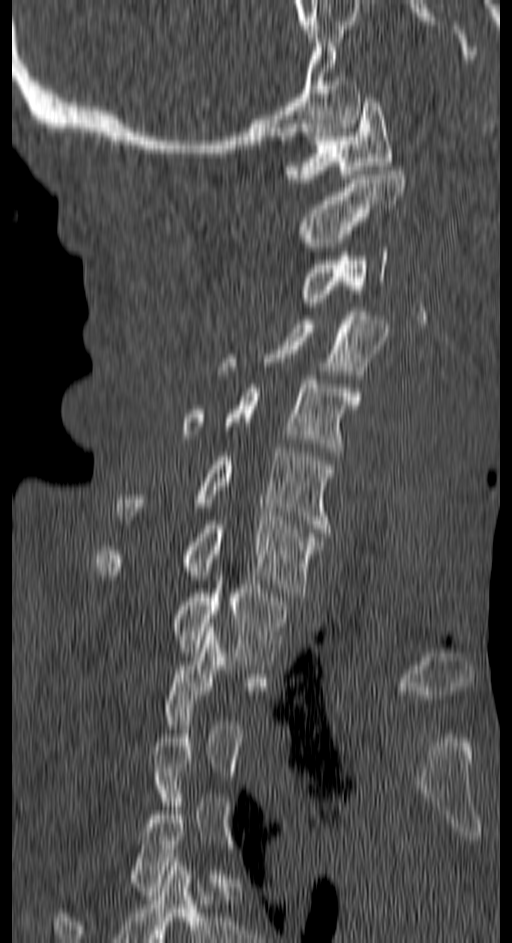

Spine CT — sagittal view — image 150 mm wide — bone-window reconstruction

Boxes: x1:y1:x2:y2 in pixels.
Not every vertebra on this slice has a box: a vertebra is boxed only from the first to the last slice where its cross-section is at least a third of its largest, and this slice is outside that range for at least one of them.
C1: 283:98:393:182
C2: 302:166:403:251
C3: 302:247:388:302
C4: 219:311:388:374
C5: 183:375:361:456
C6: 117:448:331:532
C7: 93:516:321:596
T1: 175:576:286:665